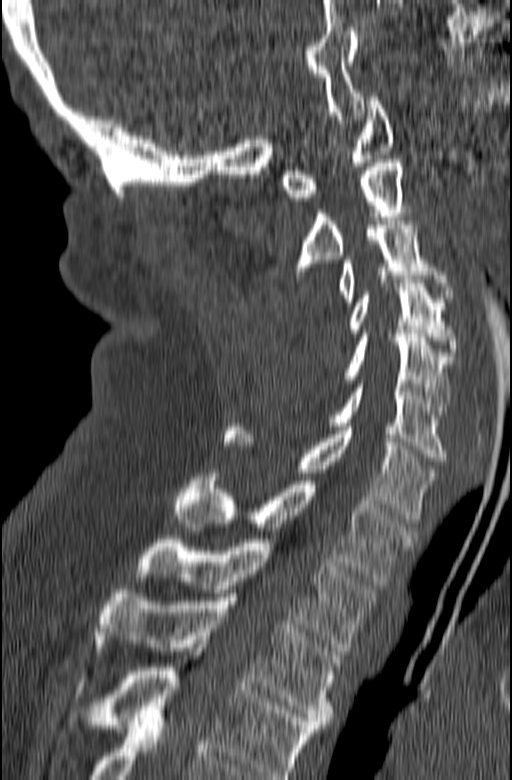

Spine CT. sagittal view. the image is 165 mm wide. W/L 1800/400 HU. 512x780 px
Each box given as x1,y1,x2,y2.
This scan's labels start at C1 at the top and end at T3 at the bottom.
Vertebra bounding boxes:
- T3: x1=94, y1=590, x2=340, y2=728
- T2: x1=137, y1=539, x2=378, y2=651
- T1: x1=174, y1=473, x2=416, y2=585
- C7: x1=224, y1=427, x2=438, y2=523
- C6: x1=330, y1=380, x2=447, y2=461
- C5: x1=345, y1=334, x2=454, y2=418
- C4: x1=349, y1=279, x2=458, y2=356
- C3: x1=339, y1=221, x2=453, y2=302
- C2: x1=296, y1=159, x2=405, y2=278
- C1: x1=282, y1=97, x2=394, y2=201